Computed tomography of the spine · sagittal view · 208 mm wide · 208x543 px
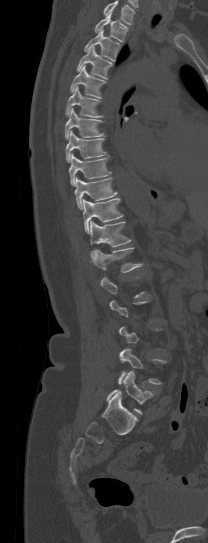 Boxes are (x1, y1, x2, y2) in pixels.
Each vertebra is boxed only on the slices from the first to the last where its cross-section reaches a third of its largest, so a slice outside that range leaves it unboxed.
Where the top of the scan cuts through a vertebra, that vertebra gets no label or box.
T1: (94, 13, 129, 42)
T2: (84, 28, 120, 61)
T3: (77, 46, 111, 79)
T4: (70, 65, 105, 97)
T5: (65, 86, 103, 117)
T6: (65, 108, 103, 139)
T7: (66, 130, 106, 162)
T8: (69, 153, 110, 186)
T9: (74, 178, 117, 209)
T10: (83, 198, 122, 233)
T11: (90, 220, 130, 258)
T12: (92, 247, 143, 272)
L4: (118, 348, 166, 384)
L5: (107, 371, 152, 414)